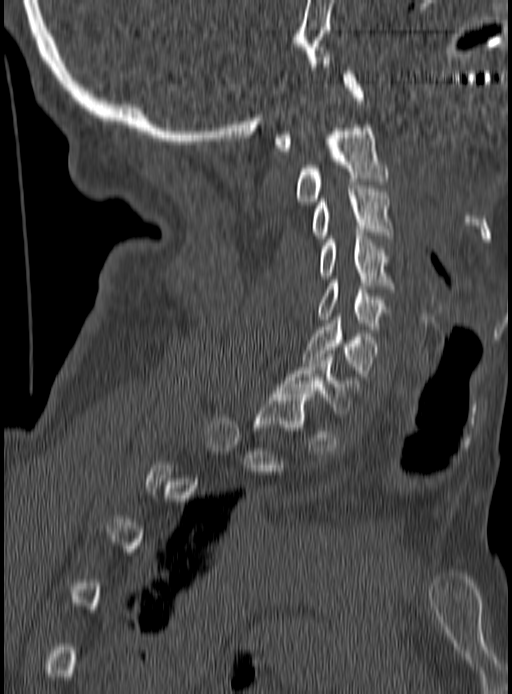

Spine CT · image 190 mm wide · sagittal view
Boxes: x1 y1 x2 y2 (pixel coords, space-separated).
Each vertebra is boxed only on the slices from the first to the last where its cross-section reaches a third of its largest, so a slice outside that range leaves it unboxed.
Vertebra bounding boxes:
- C7: 278 354 359 417
- C6: 303 317 377 376
- C5: 319 280 385 332
- C4: 319 232 393 289
- C3: 311 189 393 238
- C2: 295 125 388 204
- C1: 273 71 364 151